Computed tomography of the spine · sagittal reformat · 768x1218 px
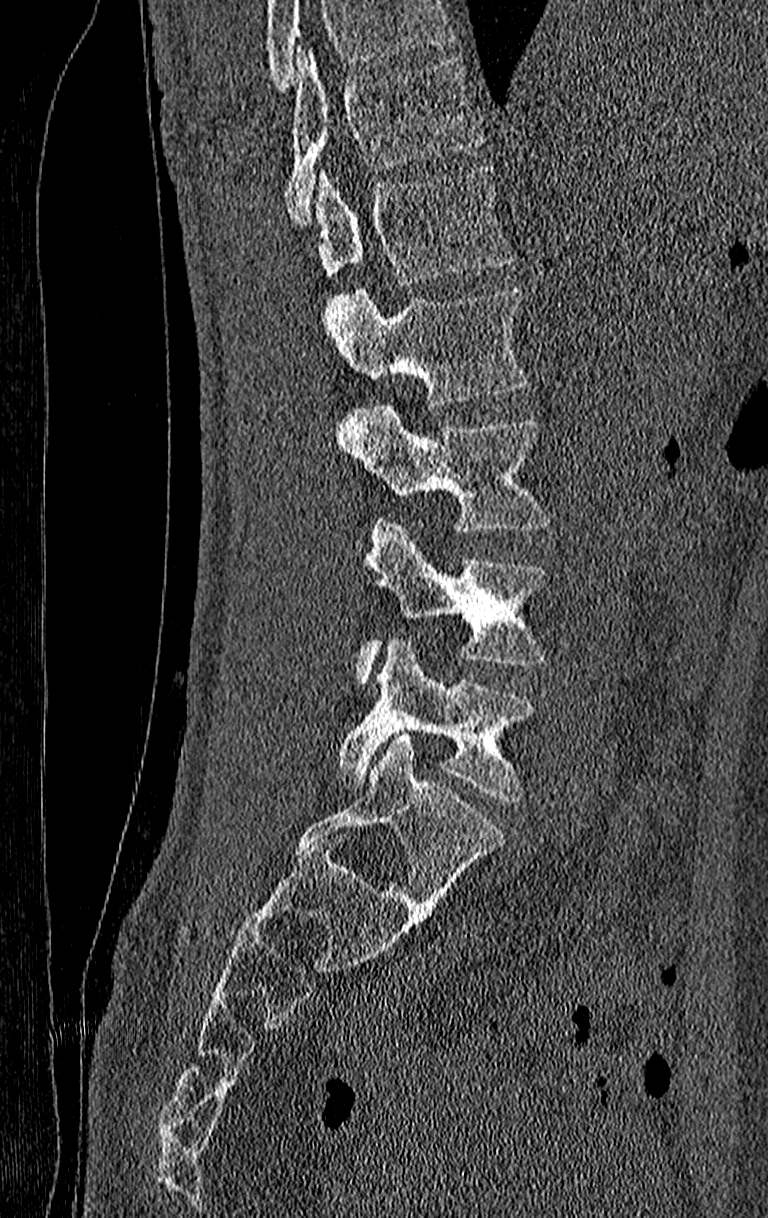
Boxes are (x1, y1, x2, y2) in pixels. Where the top of the scan cuts through a vertebra, that vertebra gets no label or box. The highest labeled vertebra in this scan is T11; the lowest is L4. 6 vertebrae labeled — T11 at (284, 46, 484, 223); T12 at (317, 166, 513, 285); L1 at (326, 290, 528, 405); L2 at (338, 403, 550, 549); L3 at (357, 517, 546, 684); L4 at (335, 640, 535, 800).